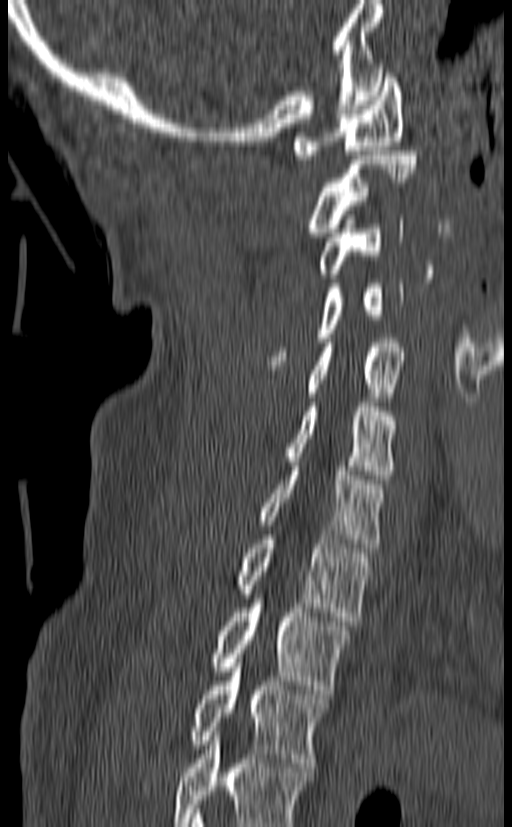
Computed tomography of the spine — sagittal view
Columns x1, y1, x2, y2 give each box's top-left and bottom-right pixels.
This scan's labels start at C1 at the top and end at T3 at the bottom.
| vertebra | x1 | y1 | x2 | y2 |
|---|---|---|---|---|
| C1 | 294 | 69 | 403 | 159 |
| C2 | 305 | 151 | 417 | 237 |
| C3 | 316 | 215 | 403 | 278 |
| C4 | 269 | 279 | 403 | 365 |
| C5 | 309 | 338 | 406 | 401 |
| C6 | 285 | 398 | 395 | 479 |
| C7 | 257 | 462 | 384 | 552 |
| T1 | 235 | 530 | 370 | 621 |
| T2 | 210 | 599 | 351 | 694 |
| T3 | 188 | 658 | 329 | 767 |